CT; sagittal view; scan covers 10 annotated vertebrae
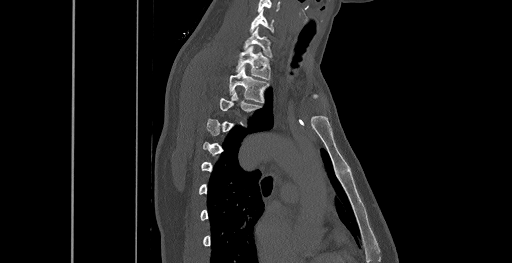 Not every vertebra on this slice has a box: a vertebra is boxed only from the first to the last slice where its cross-section is at least a third of its largest, and this slice is outside that range for at least one of them.
<vertebrae><v name="T3" x1="219" y1="93" x2="260" y2="111"/><v name="T2" x1="229" y1="67" x2="269" y2="102"/><v name="T1" x1="237" y1="46" x2="270" y2="79"/><v name="C7" x1="244" y1="26" x2="271" y2="56"/><v name="C6" x1="250" y1="10" x2="273" y2="32"/></vertebrae>